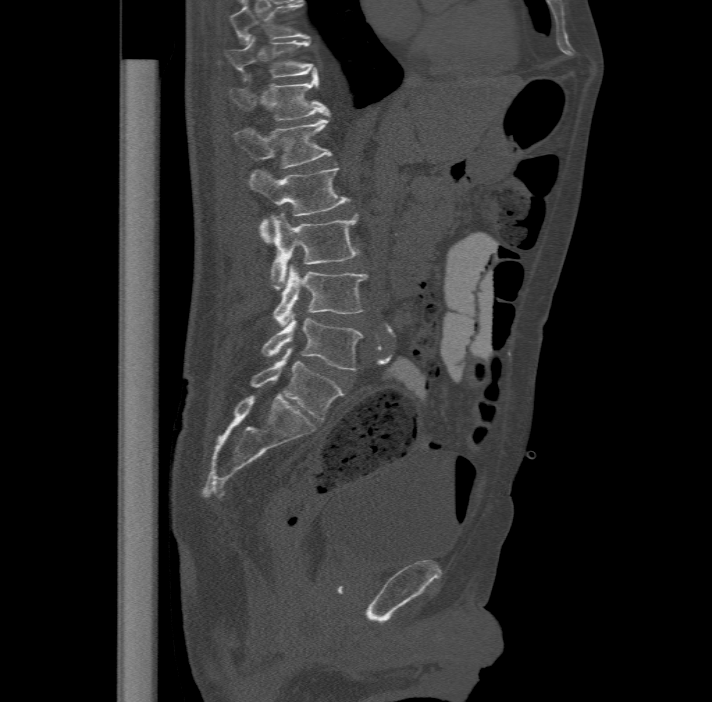 Computed tomography of the spine — 477 mm wide — sagittal view — W/L 1800/400 HU

Box edges are left/top/right/bottom in pixels.
This scan's labels start at T11 at the top and end at L6 at the bottom.
The labels name a sixth lumbar vertebra for this spine: L6, after L5.
| vertebra | x1 | y1 | x2 | y2 |
|---|---|---|---|---|
| L6 | 250 | 349 | 344 | 421 |
| L5 | 263 | 316 | 363 | 370 |
| L4 | 273 | 264 | 367 | 325 |
| L3 | 270 | 212 | 361 | 288 |
| L2 | 249 | 167 | 349 | 242 |
| L1 | 232 | 115 | 331 | 167 |
| T12 | 229 | 74 | 329 | 120 |
| T11 | 225 | 36 | 317 | 79 |